Spine computed tomography — Sagittal slice 202/512 — bone-window reconstruction — 512x780 px
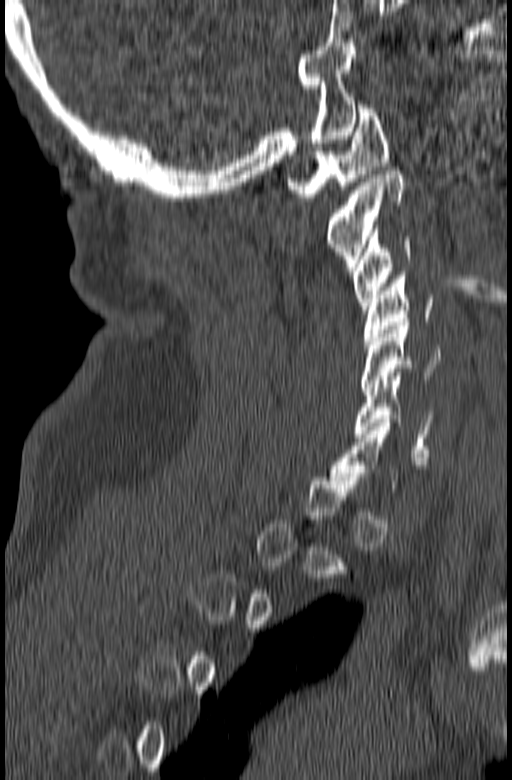

A vertebra is boxed only from the first to the last slice where its cross-section is at least a third of its largest; slices outside that range leave it without a box.
<vertebrae><v name="C1" x1="287" y1="105" x2="388" y2="197"/><v name="C2" x1="327" y1="167" x2="405" y2="271"/><v name="C3" x1="352" y1="225" x2="413" y2="313"/><v name="C4" x1="364" y1="272" x2="434" y2="348"/><v name="C5" x1="361" y1="322" x2="442" y2="391"/><v name="C6" x1="355" y1="376" x2="435" y2="453"/></vertebrae>